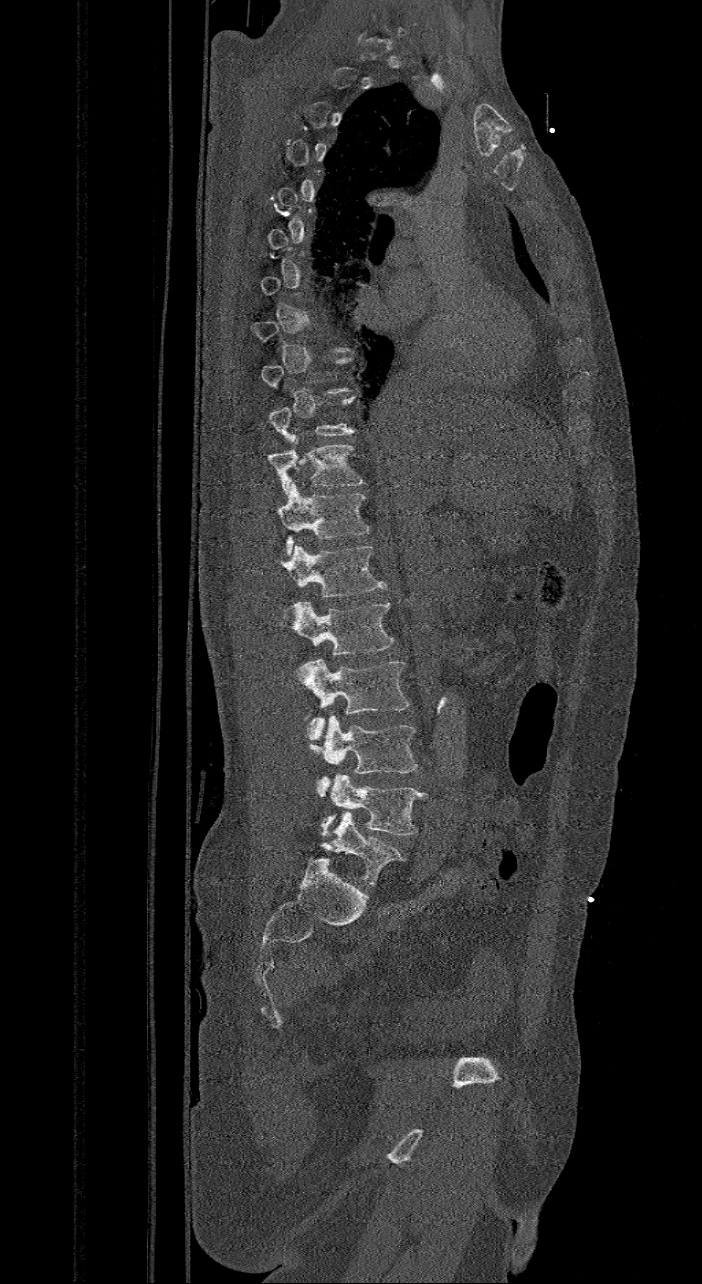
Spine CT · image width 421 mm · sagittal view · bone window
Boxes: x1 y1 x2 y2 (pixel coords, space-separated). Not every vertebra on this slice has a box: a vertebra is boxed only from the first to the last slice where its cross-section is at least a third of its largest, and this slice is outside that range for at least one of them. In these labels the spine has an L6, a sixth lumbar vertebra below L5. Vertebrae labeled: L6 at 322 812 403 885, L5 at 319 773 427 835, L4 at 307 714 417 797, L3 at 296 659 409 740, L2 at 291 600 394 655, L1 at 281 545 387 597, T12 at 278 482 370 555, T11 at 269 435 364 495.